Spine CT — sagittal reformat — bone-window reconstruction
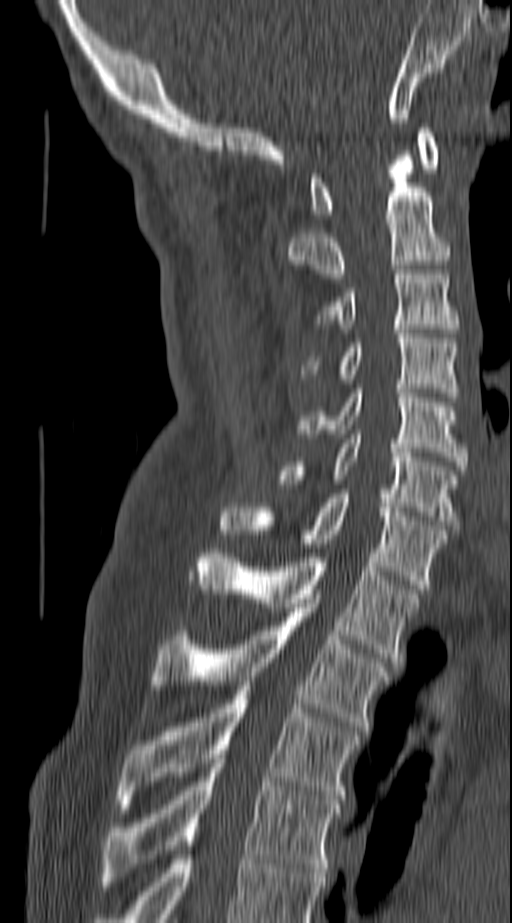

Columns x1, y1, x2, y2 give each box's top-left and bottom-right pixels.
The highest labeled vertebra in this scan is C1; the lowest is T4.
| vertebra | x1 | y1 | x2 | y2 |
|---|---|---|---|---|
| C1 | 309 | 128 | 439 | 218 |
| C2 | 287 | 155 | 450 | 278 |
| C3 | 320 | 274 | 457 | 328 |
| C4 | 305 | 329 | 457 | 397 |
| C5 | 297 | 389 | 465 | 465 |
| C6 | 276 | 434 | 457 | 529 |
| C7 | 221 | 494 | 447 | 589 |
| T1 | 199 | 549 | 417 | 662 |
| T2 | 151 | 603 | 388 | 730 |
| T3 | 115 | 686 | 359 | 808 |
| T4 | 104 | 754 | 340 | 881 |